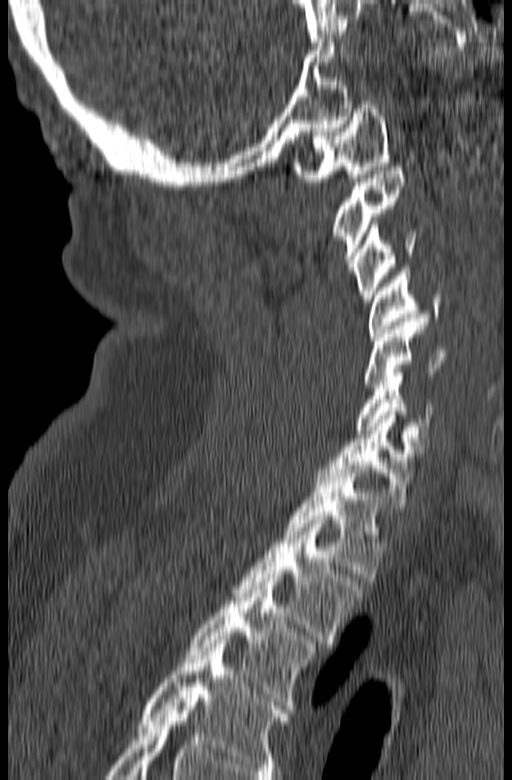 Spine CT; sagittal view; W/L 1800/400 HU; 165 mm image width
Boxes: x1 y1 x2 y2 (pixel coords, space-separated).
The highest labeled vertebra in this scan is C1; the lowest is T3.
Vertebra bounding boxes:
- C1: 293 101 391 181
- C2: 333 167 405 271
- C3: 352 221 416 302
- C4: 367 268 442 340
- C5: 364 318 447 387
- C6: 355 368 434 437
- C7: 318 411 426 507
- T1: 283 465 385 577
- T2: 232 520 361 647
- T3: 187 578 315 705